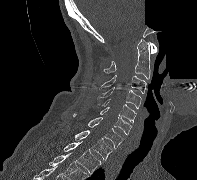 CT; sagittal view; bone-window reconstruction; part of the image is constant black where the scan was masked
Boxes below are [x1, y1, x2, y2] in pixels.
{"vertebrae":{"C1":[149,42,156,53],"C2":[103,39,150,79],"C3":[98,75,146,93],"C4":[97,87,141,108],"C5":[98,99,136,123],"C6":[100,107,131,134],"C7":[72,113,123,148],"T1":[75,130,112,160],"T2":[63,141,101,173]}}